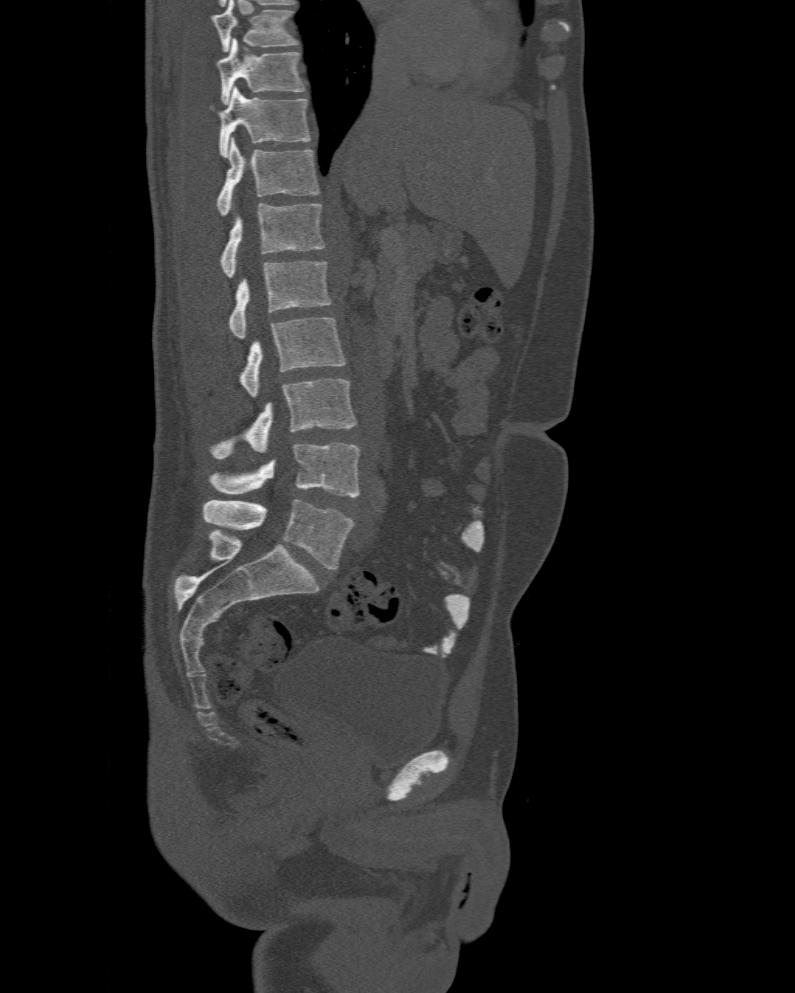
CT, spine; sagittal view; W/L 1800/400 HU; 795x993 px. Each box given as x1,y1,x2,y2.
Labels in this scan begin with T10 at the top and end with L6 at the bottom.
The labels name a sixth lumbar vertebra for this spine: L6, after L5.
L6: x1=203, y1=500, x2=353, y2=569
L5: x1=208, y1=442, x2=359, y2=497
L4: x1=211, y1=378, x2=356, y2=459
L3: x1=241, y1=317, x2=345, y2=397
L2: x1=228, y1=262, x2=333, y2=339
L1: x1=219, y1=203, x2=324, y2=277
T12: x1=217, y1=137, x2=319, y2=216
T11: x1=219, y1=87, x2=311, y2=157
T10: x1=217, y1=38, x2=305, y2=104